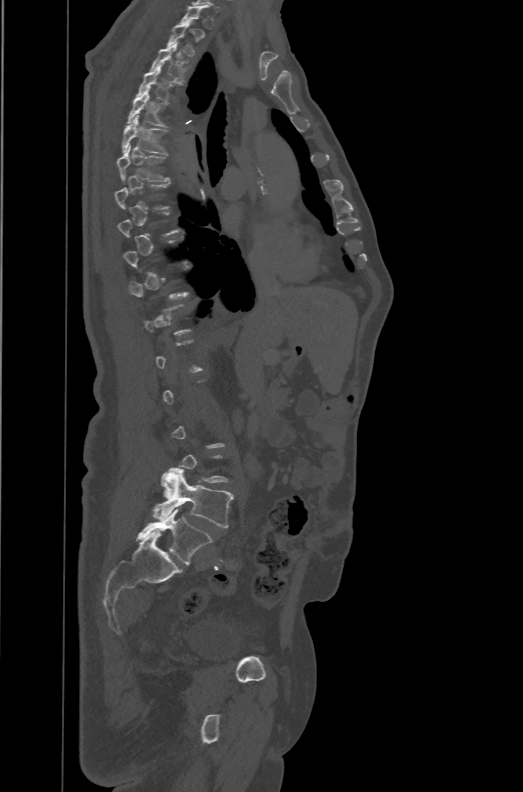 CT, spine. sagittal view. bone window
Each box given as x1,y1,x2,y2. A vertebra is boxed only from the first to the last slice where its cross-section is at least a third of its largest; slices outside that range leave it without a box. In these labels the spine has an L6, a sixth lumbar vertebra below L5. The labeled vertebrae in this slice are: T2 at x1=167, y1=23, x2=198, y2=57, T3 at x1=150, y1=42, x2=191, y2=81, T4 at x1=136, y1=67, x2=181, y2=101, T5 at x1=126, y1=90, x2=168, y2=127, T6 at x1=121, y1=115, x2=168, y2=153, T7 at x1=117, y1=145, x2=170, y2=182, L5 at x1=153, y1=467, x2=233, y2=528, L6 at x1=135, y1=509, x2=213, y2=564.